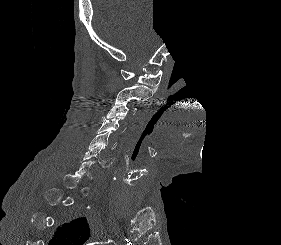

CT spine · sagittal view · a portion of the image is blanked out (constant pixel value)

Boxes are (x1, y1, x2, y2) in pixels. A vertebra is boxed only from the first to the last slice where its cross-section is at least a third of its largest; slices outside that range leave it without a box. 6 vertebrae labeled — C6 at (80, 145, 114, 167); C5 at (89, 130, 117, 149); C4 at (96, 116, 126, 133); C3 at (106, 101, 136, 118); C2 at (114, 85, 155, 104); C1 at (120, 68, 162, 91).